CT, spine · sagittal view · bone window · 512x760 px
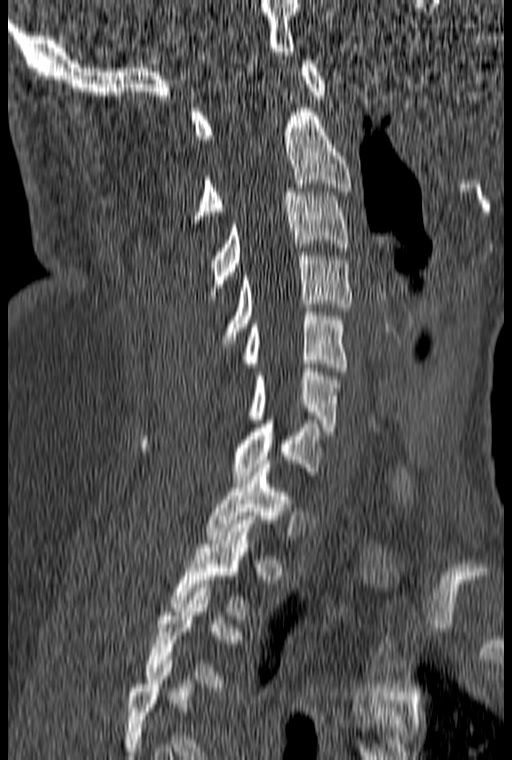 Box values are [left, top, right, bottom] in pixels.
A vertebra is boxed only from the first to the last slice where its cross-section is at least a third of its largest; slices outside that range leave it without a box.
{"vertebrae":{"C1":[191,60,326,139],"C2":[192,104,350,235],"C3":[206,188,349,299],"C4":[220,252,352,347],"C5":[243,308,346,371],"C6":[247,368,339,431],"C7":[140,420,323,479],"T1":[206,464,291,539],"T2":[169,520,254,619]}}